Computed tomography of the spine; sagittal view; 171x149 px
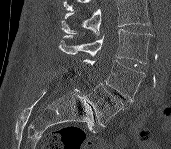
Each box is [x1, y1, x2, y2] in pixels: top-left corner, then bottom-right corner.
Vertebrae that run past the top of the scan are left unlabeled.
{"vertebrae":{"L3":[58,29,152,63],"L4":[83,58,147,102],"L5":[85,83,123,126]}}